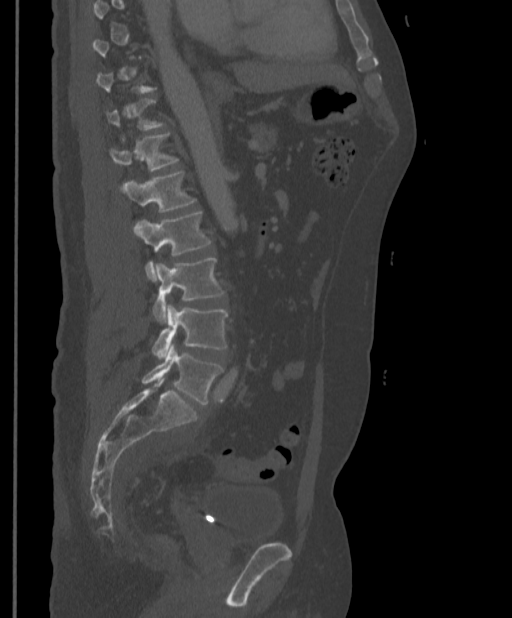 CT; sagittal reformat; 512x618 px; the image spans 397 mm across
Each box given as x1,y1,x2,y2.
A vertebra is boxed only from the first to the last slice where its cross-section is at least a third of its largest; slices outside that range leave it without a box.
| vertebra | x1 | y1 | x2 | y2 |
|---|---|---|---|---|
| T12 | 109 | 133 | 178 | 171 |
| L1 | 122 | 170 | 196 | 212 |
| L2 | 133 | 212 | 212 | 280 |
| L3 | 152 | 258 | 225 | 323 |
| L4 | 152 | 304 | 228 | 359 |
| L5 | 142 | 343 | 223 | 404 |